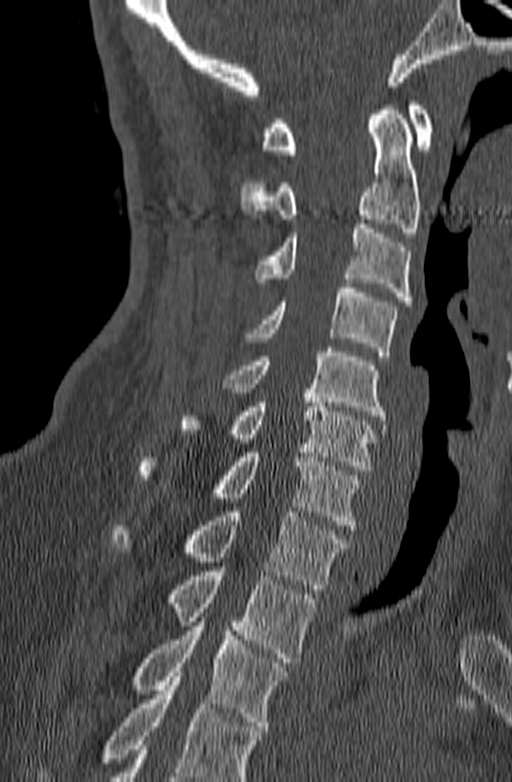
CT spine — sagittal view — the image spans 140 mm across — 512x782 px

In the table, x1 and y1 are a box's top-left corner and x2 and y2 its bottom-right corner, in pixels.
Vertebrae that run past the bottom of the scan are left unlabeled.
| vertebra | x1 | y1 | x2 | y2 |
|---|---|---|---|---|
| C1 | 261 | 101 | 433 | 154 |
| C2 | 241 | 105 | 420 | 237 |
| C3 | 256 | 224 | 413 | 305 |
| C4 | 246 | 283 | 397 | 356 |
| C5 | 224 | 347 | 385 | 420 |
| C6 | 179 | 393 | 377 | 470 |
| C7 | 137 | 448 | 359 | 529 |
| T1 | 110 | 507 | 348 | 589 |
| T2 | 169 | 571 | 316 | 662 |
| T3 | 130 | 626 | 288 | 730 |